CT spine. sagittal view. Bone window (WL 400, WW 1800). 512x747 px
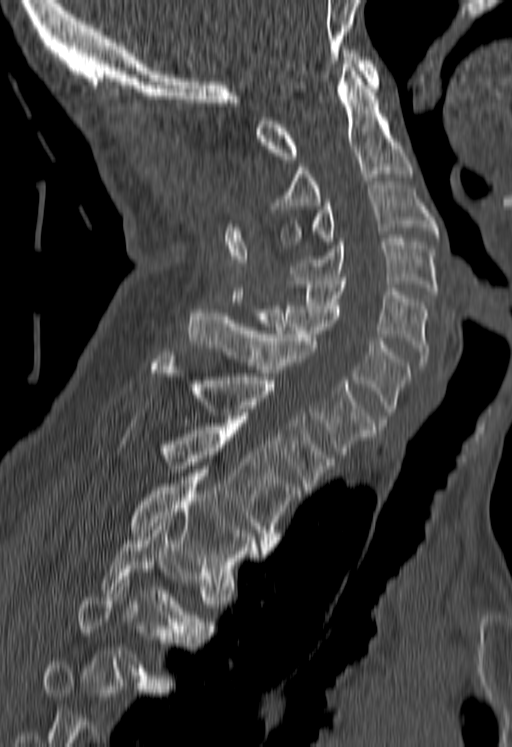
Box values are [left, top, right, bottom] in pixels.
A vertebra is boxed only from the first to the last slice where its cross-section is at least a third of its largest; slices outside that range leave it without a box.
{"vertebrae":{"C1":[255,46,379,159],"C2":[274,68,412,209],"C3":[280,185,438,248],"C4":[290,238,438,298],"C5":[288,277,429,369],"C6":[246,302,410,419],"C7":[188,309,375,454],"T1":[150,352,333,490],"T2":[157,427,301,547],"T3":[129,473,267,582],"T4":[99,523,213,639]}}